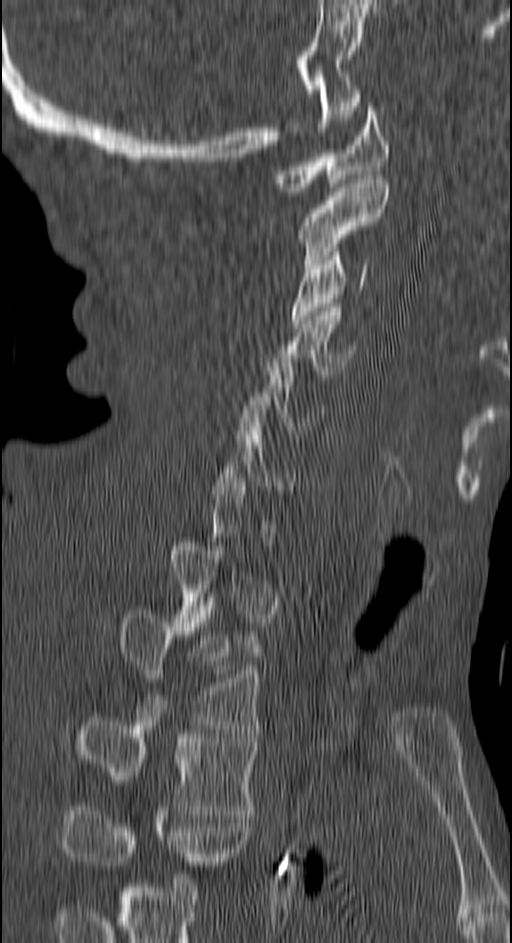 Spine computed tomography · sagittal reformat · bone-window reconstruction. Each row gives a vertebra's box as x1, y1, x2, y2 in pixels: top-left corner, then bottom-right corner.
Not every vertebra on this slice has a box: a vertebra is boxed only from the first to the last slice where its cross-section is at least a third of its largest, and this slice is outside that range for at least one of them.
This scan's labels start at C1 at the top and end at T4 at the bottom.
| vertebra | x1 | y1 | x2 | y2 |
|---|---|---|---|---|
| C1 | 274 | 102 | 389 | 195 |
| C2 | 298 | 179 | 389 | 268 |
| C3 | 291 | 247 | 369 | 328 |
| C4 | 271 | 307 | 355 | 383 |
| T2 | 117 | 610 | 260 | 729 |
| T3 | 73 | 717 | 256 | 814 |
| T4 | 63 | 811 | 249 | 865 |